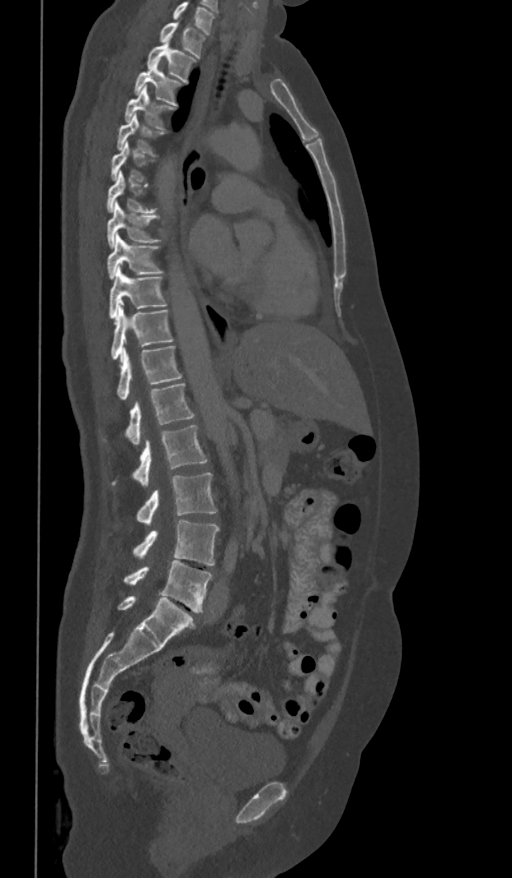

Spine CT · sagittal view · bone window · 512x878 px · 361 mm across the image
Each box is [x1, y1, x2, y2] in pixels: top-left corner, then bottom-right corner.
Each vertebra is boxed only on the slices from the first to the last where its cross-section reaches a third of its largest, so a slice outside that range leaves it unboxed.
Labels in this scan begin with T1 at the top and end with L5 at the bottom.
{"vertebrae":{"T1":[160,22,204,58],"T2":[147,42,196,82],"T3":[135,60,183,106],"T4":[125,86,175,127],"T5":[118,114,163,153],"T7":[106,172,156,212],"T8":[106,202,159,248],"T9":[108,235,162,279],"T10":[109,266,166,318],"T11":[110,305,173,360],"T12":[118,346,182,400],"L1":[126,383,195,444],"L2":[112,425,207,488],"L3":[136,472,217,526],"L4":[133,520,219,566],"L5":[125,560,212,612]}}